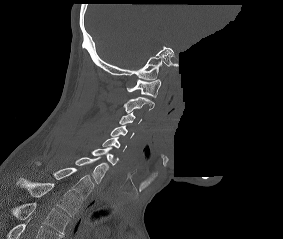 Spine computed tomography; 283 mm image width; sagittal view; part of the scan has been removed (filled with constant black)

Boxes are (x1, y1, x2, y2) in pixels. Labels in this scan begin with C1 at the top and end with T2 at the bottom. Vertebrae labeled: C1 at (127, 79, 160, 97), C2 at (124, 96, 154, 113), C3 at (119, 112, 141, 124), C4 at (110, 125, 134, 138), C5 at (102, 137, 126, 151), C6 at (91, 147, 118, 165), C7 at (75, 157, 108, 183), T1 at (35, 161, 94, 198), T2 at (17, 178, 81, 216).